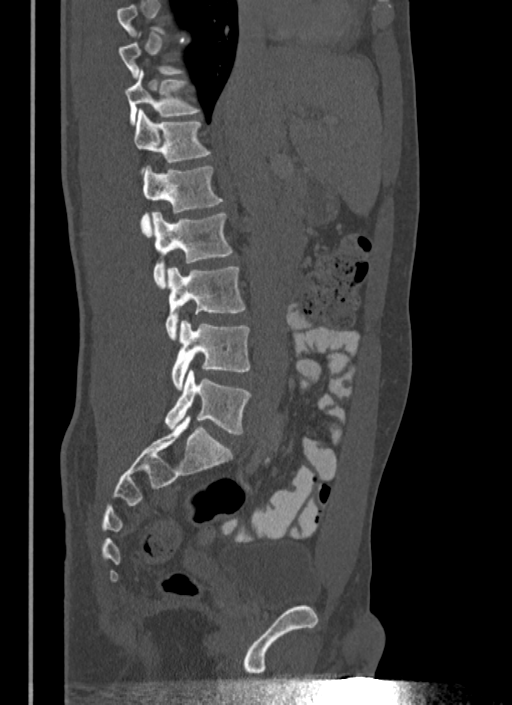
CT · sagittal view · 512x705 px
Coordinates as <box>x1,y1,x2,y2</box>.
A vertebra is boxed only from the first to the last slice where its cross-section is at least a third of its largest; slices outside that range leave it without a box.
T11: <box>125,71,199,124</box>
T12: <box>132,110,210,172</box>
L1: <box>141,166,223,235</box>
L2: <box>152,212,232,288</box>
L3: <box>165,267,244,339</box>
L4: <box>171,321,250,389</box>
L5: <box>165,369,250,434</box>